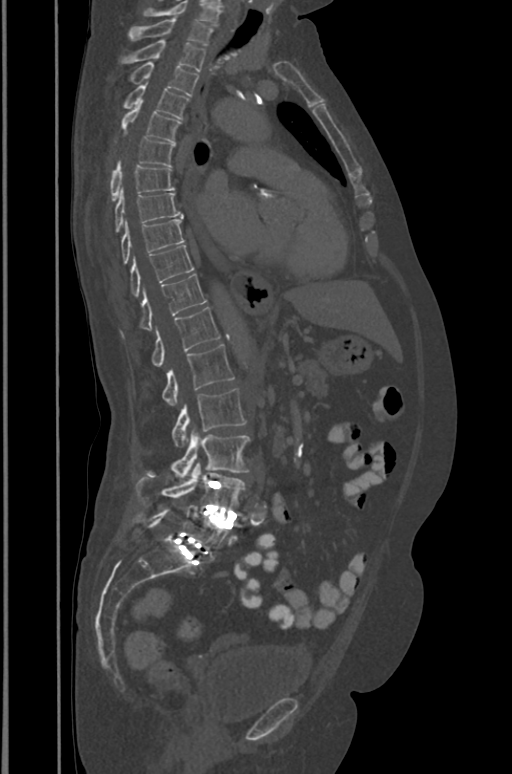

Spine computed tomography; sagittal reformat; 391 mm image width; bone window; 512x774 px
Bounding boxes as [x1, y1, x2, y2] in pixel coordinates.
Labels in this scan begin with T1 at the top and end with L5 at the bottom.
Vertebra bounding boxes:
- T1: [128, 18, 212, 45]
- T2: [123, 40, 205, 71]
- T3: [131, 62, 198, 95]
- T4: [124, 82, 188, 119]
- T5: [122, 103, 180, 142]
- T6: [116, 138, 174, 166]
- T7: [110, 165, 174, 200]
- T8: [115, 188, 182, 232]
- T9: [122, 219, 184, 263]
- T10: [131, 245, 194, 296]
- T11: [141, 274, 207, 330]
- T12: [152, 307, 220, 367]
- L1: [162, 344, 233, 406]
- L2: [172, 389, 245, 447]
- L3: [172, 429, 249, 482]
- L4: [136, 462, 244, 510]
- L5: [138, 507, 228, 554]